CT, spine. sagittal view. 435 mm image width. bone window. 8 vertebrae labeled in this scan
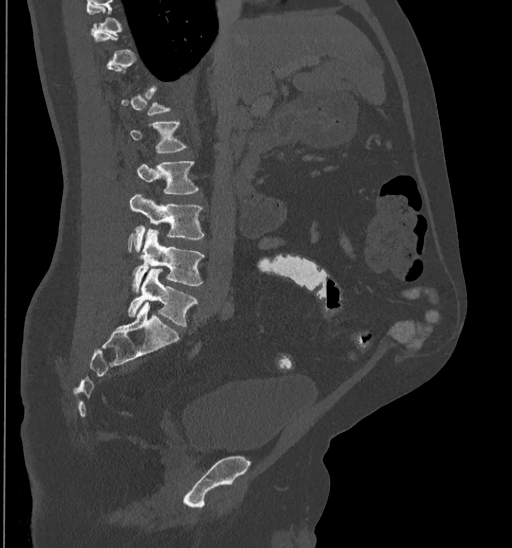 Boxes: x1 y1 x2 y2 (pixel coords, space-separated). Not every vertebra on this slice has a box: a vertebra is boxed only from the first to the last slice where its cross-section is at least a third of its largest, and this slice is outside that range for at least one of them. Vertebrae labeled: L1 at 129 121 187 153, L2 at 126 161 199 194, L3 at 128 193 204 252, L4 at 132 230 205 292, L5 at 128 269 198 326.